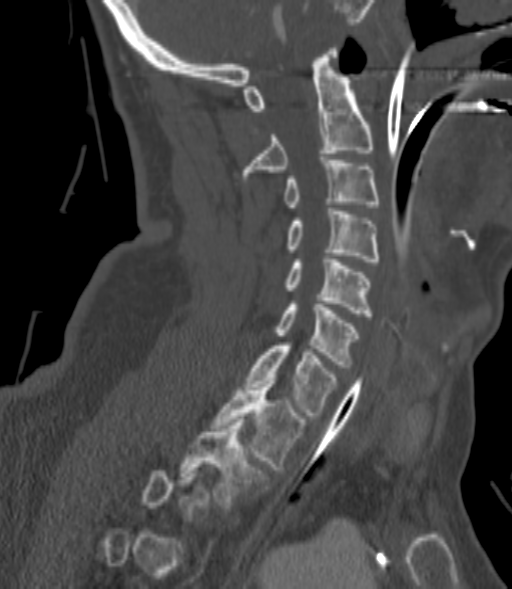
Spine CT. sagittal view. the image spans 200 mm across. Bone window (WL 400, WW 1800)
Boxes: x1:y1:x2:y2 in pixels.
A vertebra is boxed only from the first to the last slice where its cross-section is at least a third of its largest; slices outside that range leave it without a box.
Vertebra bounding boxes:
- C2: 244:48:374:175
- C3: 285:157:379:210
- C4: 288:208:379:261
- C5: 285:256:371:316
- C6: 277:301:358:367
- C7: 247:342:335:415
- T1: 213:378:304:469
- T2: 180:419:263:505